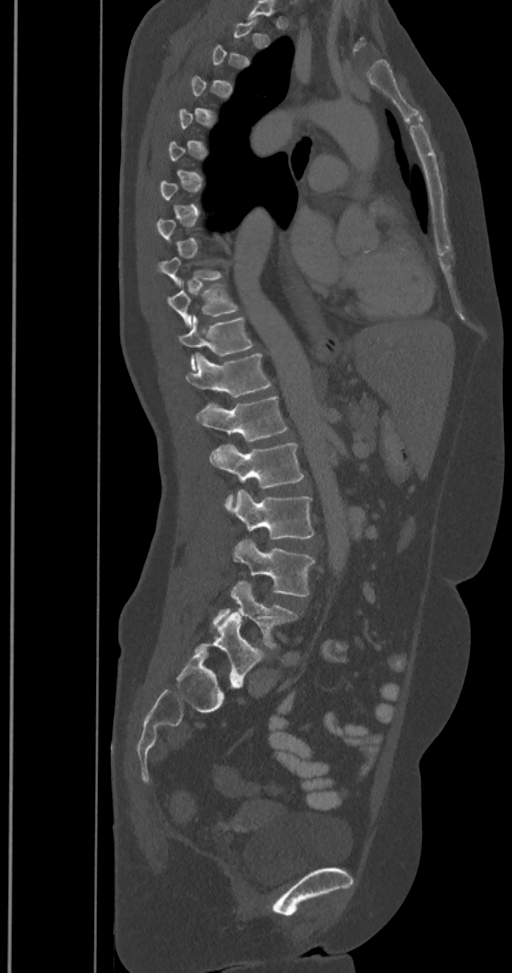 Spine CT; 350 mm across the image; sagittal view; bone-window reconstruction
Boxes: x1:y1:x2:y2 in pixels.
Each vertebra is boxed only on the slices from the first to the last where its cross-section reaches a third of its largest, so a slice outside that range leaves it unboxed.
The labels name a sixth lumbar vertebra for this spine: L6, after L5.
Vertebra bounding boxes:
- L6: 194:612:264:684
- L5: 212:581:297:649
- L4: 234:538:315:597
- L3: 229:490:313:539
- L2: 210:442:303:510
- L1: 196:395:287:441
- T12: 186:353:271:397
- T11: 178:316:253:369
- T10: 167:284:237:327